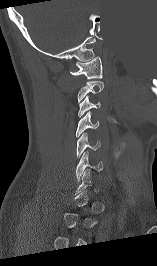

Computed tomography of the spine; sagittal view; W/L 1800/400 HU; 157x266 px; some of the image was removed or blocked out with constant pixels
Boxes: x1 y1 x2 y2 (pixel coords, space-separated).
A vertebra is boxed only from the first to the last slice where its cross-section is at least a third of its largest; slices outside that range leave it without a box.
Vertebra bounding boxes:
- C6: 76 152 102 181
- C5: 77 133 100 159
- C4: 76 111 99 137
- C3: 78 95 100 117
- C2: 77 80 104 102
- C1: 70 56 102 79